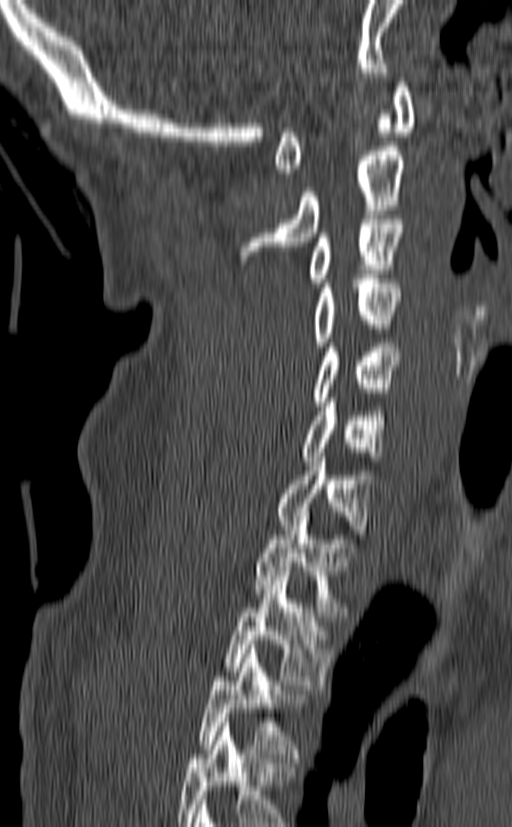 CT, spine · sagittal view · 512x827 px · 140 mm image width
Boxes below are [x1, y1, x2, y2] in pixels.
Labels in this scan begin with C1 at the top and end with T3 at the bottom.
{"vertebrae":{"C1":[275,78,416,177],"C2":[240,146,406,260],"C3":[309,219,403,287],"C4":[312,274,401,346],"C5":[312,343,403,406],"C6":[301,398,388,461],"C7":[276,453,373,534],"T1":[254,517,358,616],"T2":[224,571,333,689],"T3":[199,645,308,762]}}